Spine CT; Sagittal slice 224/512; Bone window (WL 400, WW 1800); 149 mm across the image; 12 vertebrae labeled in this scan
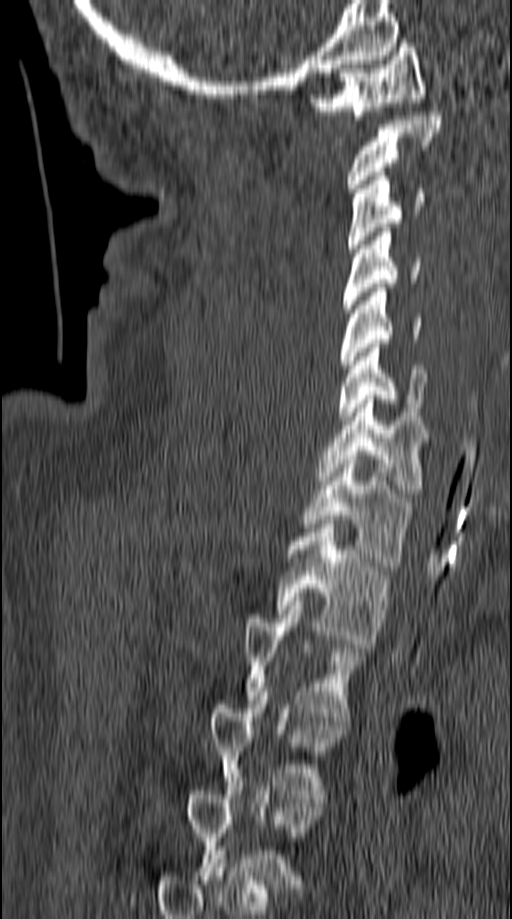

Box edges are left/top/right/bottom in pixels.
Each vertebra is boxed only on the slices from the first to the last where its cross-section reaches a third of its largest, so a slice outside that range leaves it unboxed.
| vertebra | x1 | y1 | x2 | y2 |
|---|---|---|---|---|
| T4 | 207 | 687 | 346 | 798 |
| T3 | 245 | 601 | 364 | 721 |
| T2 | 276 | 524 | 389 | 643 |
| T1 | 300 | 455 | 410 | 566 |
| C7 | 317 | 395 | 428 | 497 |
| C6 | 338 | 344 | 426 | 420 |
| C5 | 341 | 288 | 422 | 368 |
| C4 | 341 | 228 | 421 | 313 |
| C3 | 348 | 172 | 425 | 252 |
| C2 | 348 | 112 | 440 | 192 |
| C1 | 309 | 43 | 426 | 119 |